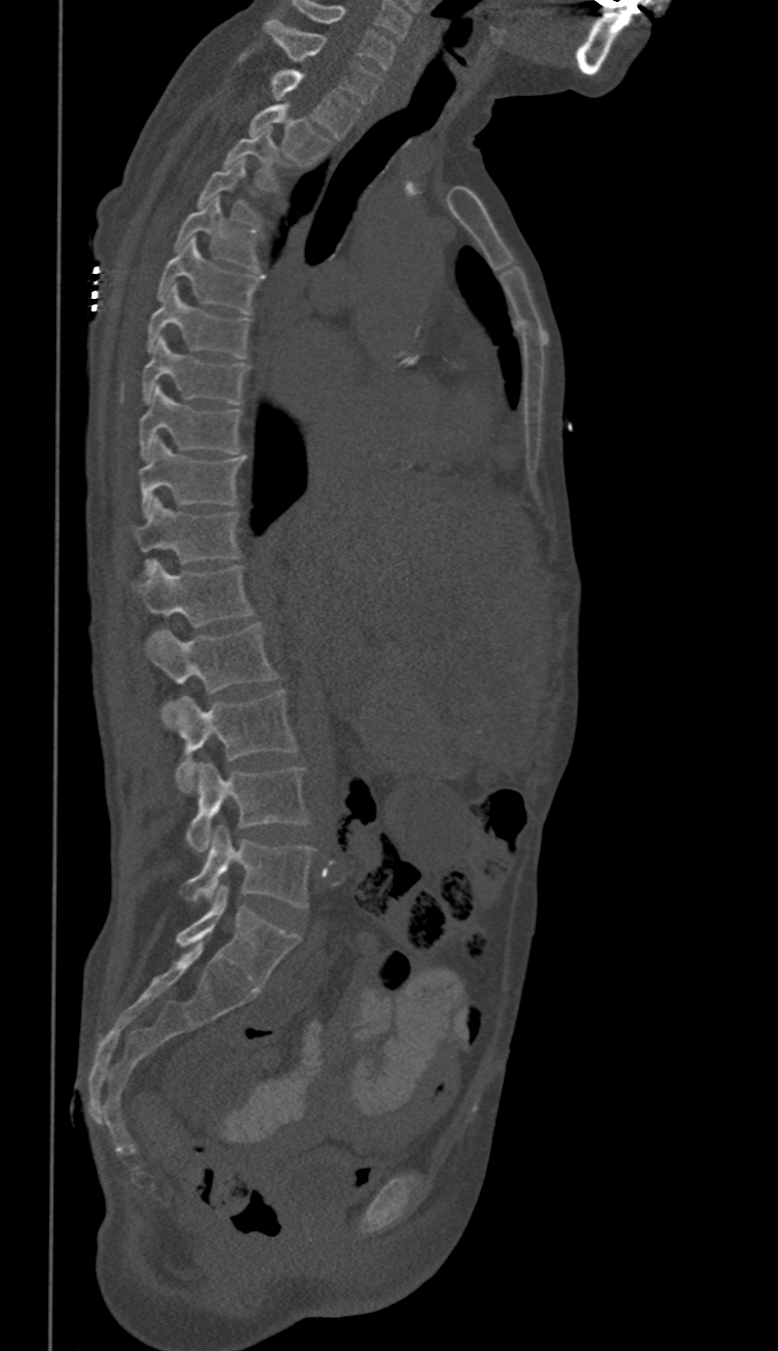 Computed tomography of the spine; sagittal reformat; 350 mm wide; 778x1351 px
In these labels the thoracic vertebrae end at T11, so L1 follows T11.
<vertebrae><v name="C6" x1="293" y1="2" x2="394" y2="68"/><v name="C7" x1="264" y1="18" x2="380" y2="102"/><v name="T1" x1="242" y1="54" x2="359" y2="137"/><v name="T2" x1="249" y1="105" x2="330" y2="166"/><v name="T3" x1="225" y1="129" x2="279" y2="188"/><v name="T4" x1="197" y1="160" x2="259" y2="224"/><v name="T5" x1="175" y1="196" x2="259" y2="271"/><v name="T6" x1="158" y1="238" x2="263" y2="313"/><v name="T7" x1="146" y1="285" x2="250" y2="357"/><v name="T8" x1="141" y1="336" x2="248" y2="404"/><v name="T9" x1="140" y1="387" x2="241" y2="459"/><v name="T10" x1="140" y1="438" x2="245" y2="515"/><v name="T11" x1="135" y1="498" x2="239" y2="571"/><v name="L1" x1="134" y1="560" x2="253" y2="626"/><v name="L2" x1="146" y1="623" x2="277" y2="713"/><v name="L3" x1="170" y1="689" x2="297" y2="791"/><v name="L4" x1="187" y1="763" x2="307" y2="851"/><v name="L5" x1="182" y1="825" x2="316" y2="908"/></vertebrae>